Spine CT; sagittal reformat; 350x637 px; 17 vertebrae labeled in this scan
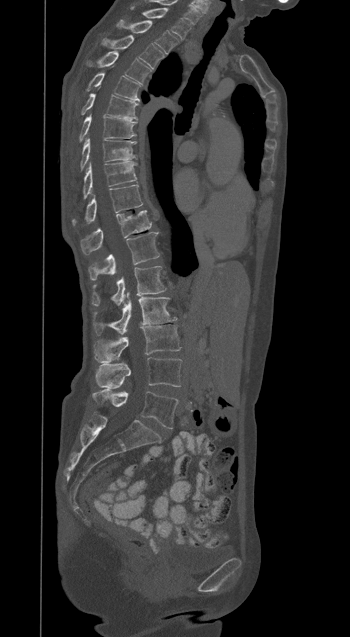

Box edges are left/top/right/bottom in pixels.
| vertebra | x1 | y1 | x2 | y2 |
|---|---|---|---|---|
| L5 | 92 | 390 | 178 | 428 |
| L4 | 95 | 357 | 181 | 388 |
| L3 | 94 | 325 | 180 | 363 |
| L2 | 93 | 292 | 176 | 334 |
| L1 | 91 | 266 | 166 | 305 |
| T12 | 88 | 232 | 159 | 280 |
| T11 | 80 | 210 | 151 | 254 |
| T10 | 72 | 185 | 142 | 225 |
| T9 | 82 | 161 | 136 | 198 |
| T8 | 80 | 138 | 136 | 169 |
| T7 | 79 | 115 | 137 | 140 |
| T6 | 81 | 94 | 137 | 119 |
| T5 | 87 | 72 | 142 | 101 |
| T4 | 89 | 53 | 150 | 82 |
| T3 | 104 | 35 | 163 | 68 |
| T2 | 118 | 20 | 178 | 53 |
| T1 | 132 | 7 | 190 | 39 |